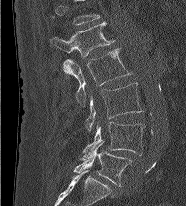 Spine CT; sagittal reformat; Bone window (WL 400, WW 1800); 186x206 px
Each box given as x1,y1,x2,y2. In this scan, the topmost labeled vertebra is L1 and the lowest is L5. 5 vertebrae labeled — L1 at x1=50, y1=21, x2=114, y2=57; L2 at x1=63, y1=48, x2=131, y2=105; L3 at x1=85, y1=83, x2=143, y2=131; L4 at x1=80, y1=122, x2=146, y2=160; L5 at x1=74, y1=141, x2=132, y2=186.